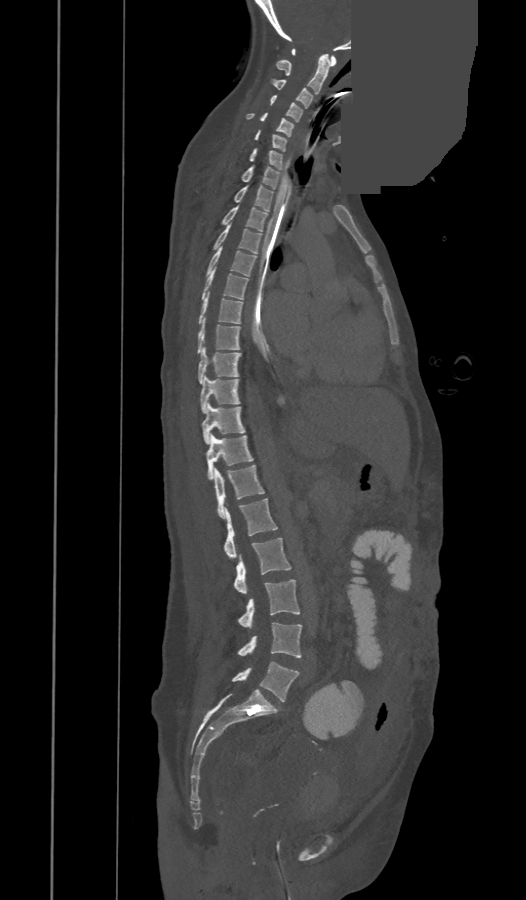 Computed tomography of the spine · sagittal view · W/L 1800/400 HU · a portion of the image is blanked out (constant pixel value)

The labels name an extra thoracic vertebra here, T13, which comes after T12 and before L1.
<vertebrae><v name="L5" x1="232" y1="661" x2="299" y2="701"/><v name="L4" x1="238" y1="622" x2="301" y2="657"/><v name="L3" x1="238" y1="579" x2="299" y2="627"/><v name="L2" x1="234" y1="538" x2="291" y2="594"/><v name="L1" x1="225" y1="498" x2="277" y2="558"/><v name="T13" x1="215" y1="465" x2="264" y2="518"/><v name="T12" x1="205" y1="435" x2="253" y2="479"/><v name="T11" x1="201" y1="403" x2="244" y2="444"/><v name="T10" x1="200" y1="377" x2="240" y2="412"/><v name="T9" x1="198" y1="347" x2="241" y2="384"/><v name="T8" x1="197" y1="318" x2="240" y2="353"/><v name="T7" x1="199" y1="292" x2="242" y2="324"/><v name="T6" x1="201" y1="267" x2="247" y2="299"/><v name="T5" x1="205" y1="247" x2="256" y2="276"/><v name="T4" x1="214" y1="223" x2="261" y2="254"/><v name="T3" x1="222" y1="206" x2="267" y2="231"/><v name="T2" x1="234" y1="185" x2="272" y2="211"/><v name="T1" x1="242" y1="166" x2="281" y2="188"/><v name="C7" x1="250" y1="148" x2="282" y2="169"/><v name="C6" x1="255" y1="130" x2="286" y2="151"/><v name="C5" x1="246" y1="112" x2="294" y2="136"/><v name="C4" x1="270" y1="95" x2="302" y2="121"/><v name="C3" x1="271" y1="79" x2="312" y2="108"/><v name="C2" x1="276" y1="54" x2="330" y2="94"/><v name="C1" x1="292" y1="49" x2="336" y2="66"/></vertebrae>